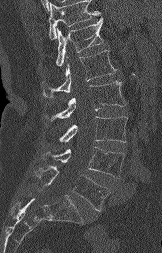
Computed tomography of the spine · sagittal view

Where the top of the scan cuts through a vertebra, that vertebra gets no label or box.
<vertebrae><v name="L5" x1="35" y1="165" x2="109" y2="210"/><v name="L4" x1="43" y1="147" x2="124" y2="178"/><v name="L3" x1="59" y1="116" x2="127" y2="143"/><v name="L2" x1="46" y1="81" x2="125" y2="121"/><v name="L1" x1="42" y1="50" x2="116" y2="98"/><v name="T12" x1="56" y1="18" x2="103" y2="66"/></vertebrae>